Spine computed tomography; image 210 mm wide; Sagittal slice 324/768
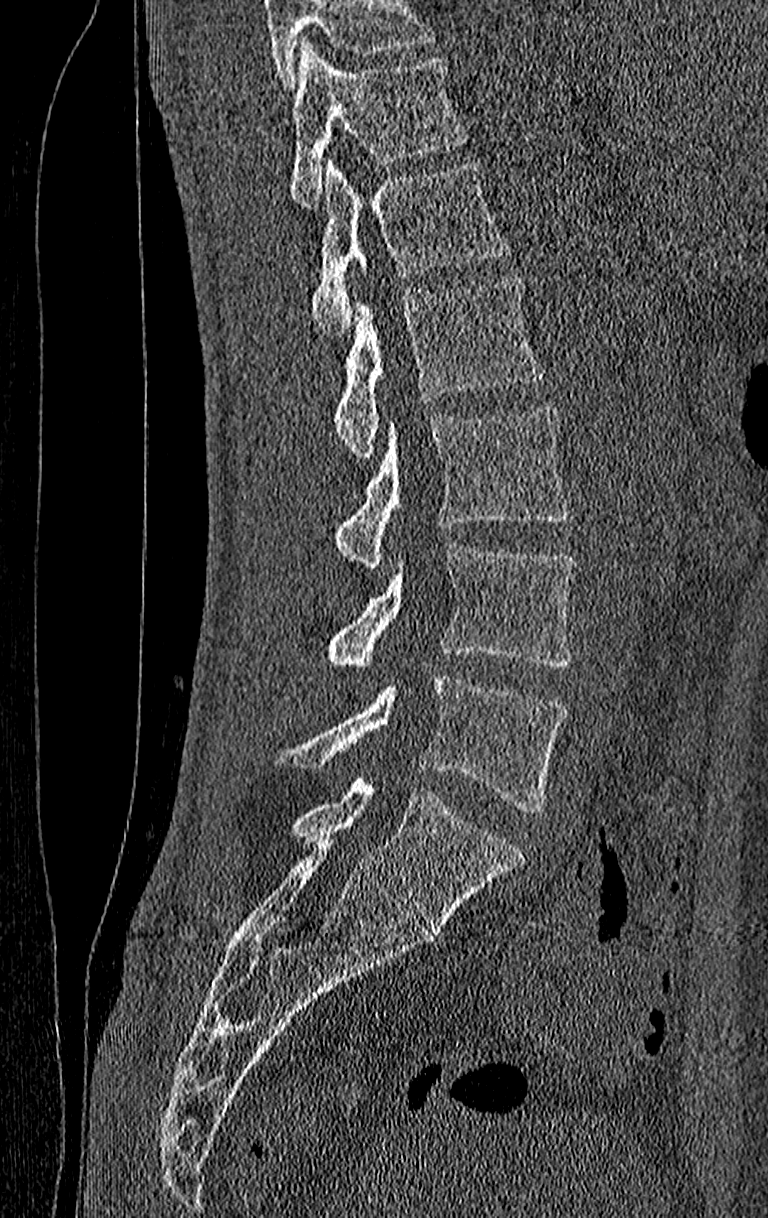 Boxes are (x1, y1, x2, y2) in pixels.
Vertebrae that run past the top of the scan are left unlabeled.
The highest labeled vertebra in this scan is T11; the lowest is L4.
L4: (273, 673, 568, 812)
L3: (324, 546, 575, 666)
L2: (331, 406, 568, 567)
L1: (331, 275, 546, 457)
T12: (310, 158, 510, 333)
T11: (288, 41, 469, 208)